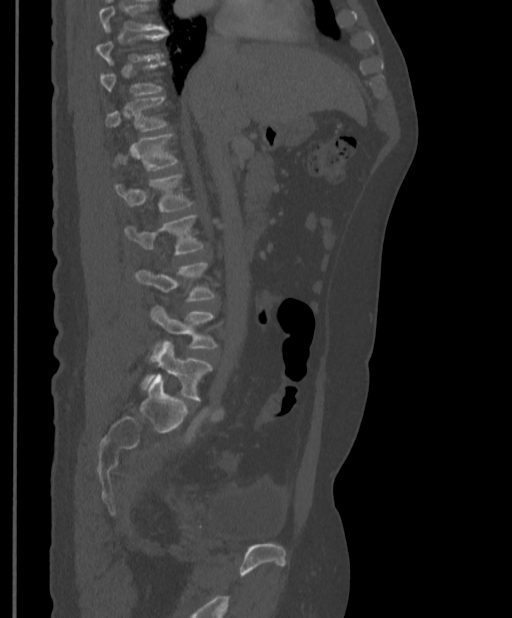
CT, spine — sagittal view — Bone window (WL 400, WW 1800) — 512x618 px — 397 mm across the image
Bounding boxes as [x1, y1, x2, y2] in pixel coordinates.
Not every vertebra on this slice has a box: a vertebra is boxed only from the first to the last slice where its cross-section is at least a third of its largest, and this slice is outside that range for at least one of them.
Vertebra bounding boxes:
- T11: [106, 97, 165, 131]
- T12: [116, 134, 177, 171]
- L1: [115, 174, 191, 212]
- L2: [125, 215, 203, 254]
- L4: [151, 306, 216, 349]
- L5: [146, 340, 212, 400]